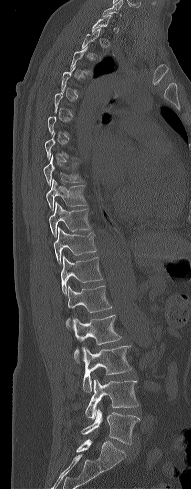 Spine computed tomography; sagittal view; W/L 1800/400 HU; 191 mm image width; 191x489 px
A vertebra is boxed only from the first to the last slice where its cross-section is at least a third of its largest; slices outside that range leave it without a box.
<vertebrae><v name="C7" x1="102" y1="1" x2="122" y2="16"/><v name="T8" x1="44" y1="158" x2="83" y2="185"/><v name="T9" x1="46" y1="179" x2="87" y2="210"/><v name="T10" x1="49" y1="202" x2="91" y2="237"/><v name="T11" x1="54" y1="227" x2="97" y2="264"/><v name="T12" x1="61" y1="255" x2="102" y2="294"/><v name="L1" x1="66" y1="285" x2="112" y2="320"/><v name="L2" x1="66" y1="315" x2="121" y2="344"/><v name="L3" x1="74" y1="346" x2="132" y2="392"/><v name="L4" x1="85" y1="378" x2="138" y2="419"/><v name="L5" x1="81" y1="408" x2="138" y2="444"/></vertebrae>